Spine CT · sagittal plane, index 302 · Bone window (WL 400, WW 1800) · 512x919 px · 12 vertebrae labeled in this scan
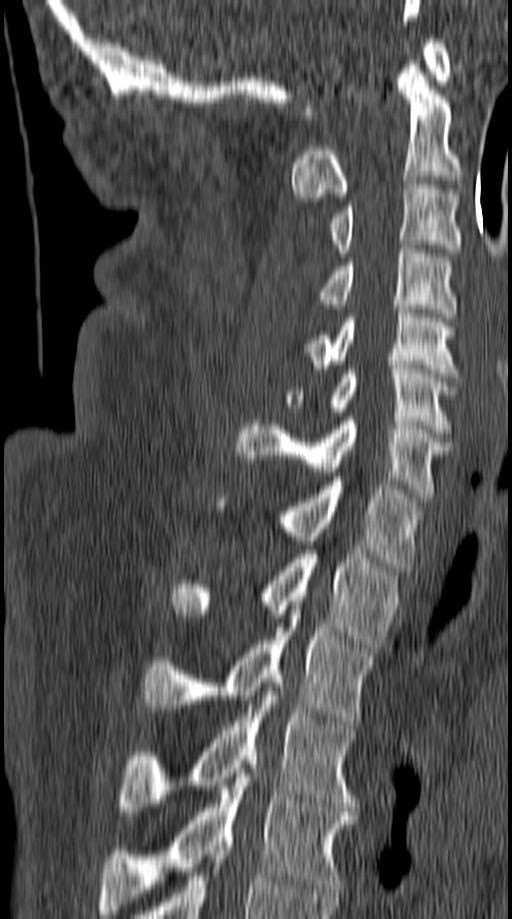 Each box given as x1,y1,x2,y2. Vertebrae labeled: C1 at x1=301, y1=34, x2=451, y2=119, C2 at x1=291, y1=64, x2=461, y2=201, C3 at x1=331, y1=185, x2=461, y2=257, C4 at x1=317, y1=249, x2=454, y2=317, C5 at x1=304, y1=305, x2=458, y2=377, C6 at x1=285, y1=365, x2=457, y2=433, C7 at x1=235, y1=417, x2=450, y2=502, T1 at x1=218, y1=477, x2=423, y2=570, T2 at x1=170, y1=550, x2=395, y2=652, T3 at x1=142, y1=610, x2=375, y2=725, T4 at x1=118, y1=687, x2=358, y2=815, T5 at x1=99, y1=760, x2=356, y2=914.